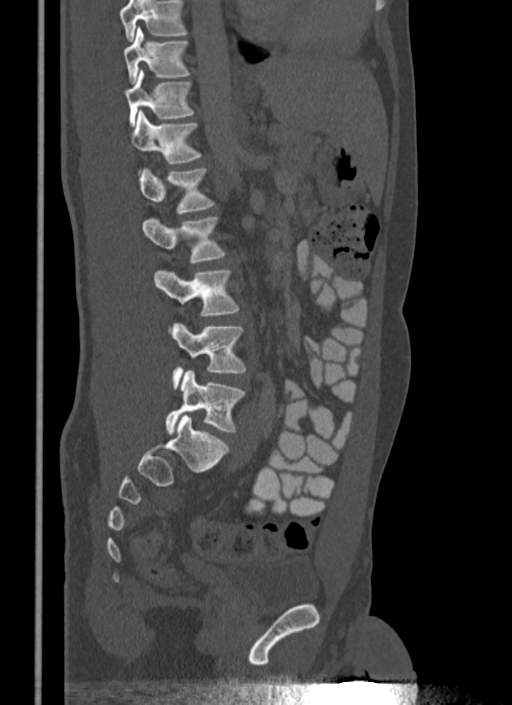 Computed tomography of the spine. 340 mm across the image. sagittal reformat. 512x705 px
Box edges are left/top/right/bottom in pixels. A vertebra cut off by the top edge of the scan is not labeled and has no box. 8 vertebrae labeled — T10 at left=123, top=27, right=188, bottom=83; T11 at left=123, top=71, right=193, bottom=125; T12 at left=129, top=110, right=201, bottom=163; L1 at left=138, top=169, right=214, bottom=213; L2 at left=143, top=217, right=225, bottom=263; L3 at left=153, top=270, right=238, bottom=315; L4 at left=170, top=324, right=246, bottom=388; L5 at left=165, top=370, right=244, bottom=434.